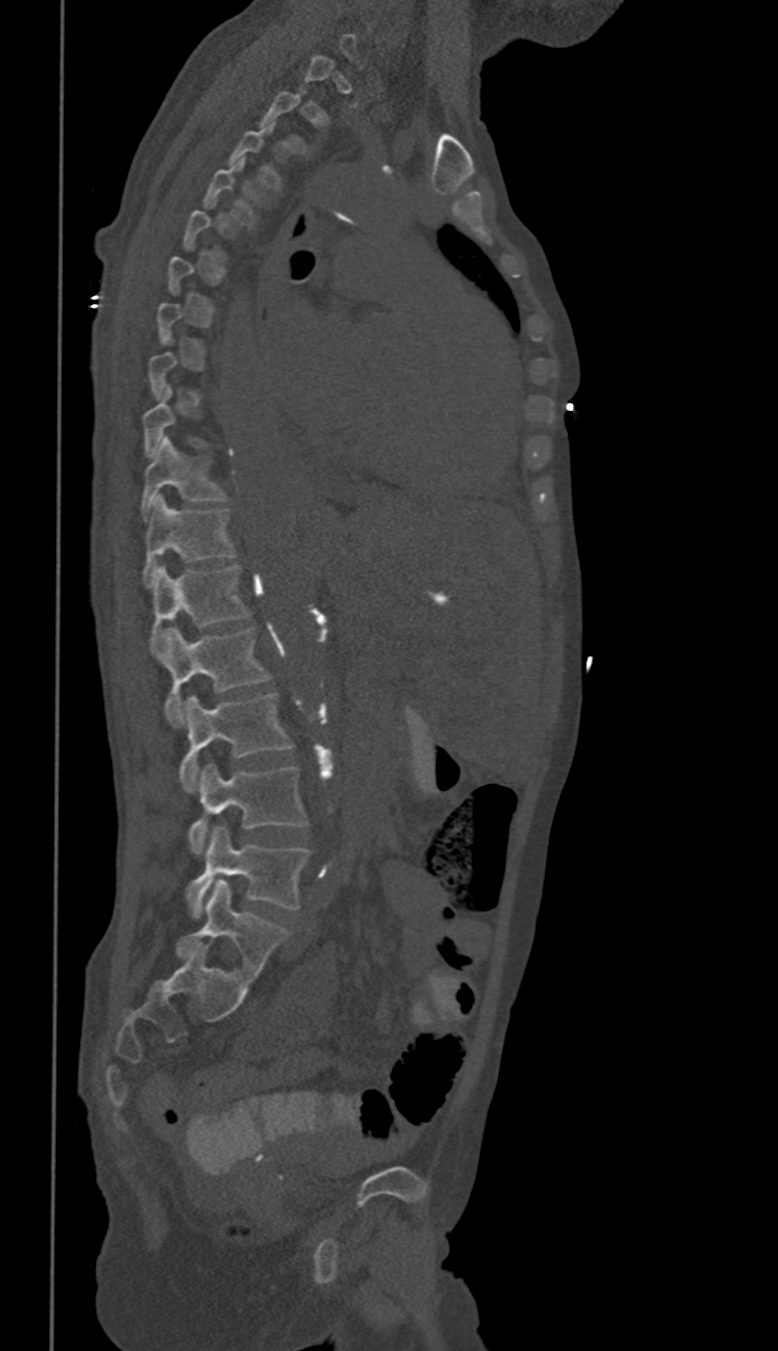
CT spine — sagittal view
In the table, x1 and y1 are a box's top-left corner and x2 and y2 its bottom-right corner, in pixels.
A vertebra is boxed only from the first to the last slice where its cross-section is at least a third of its largest; slices outside that range leave it without a box.
These labels give this spine no T12: after T11 the next vertebra is L1.
| vertebra | x1 | y1 | x2 | y2 |
|---|---|---|---|---|
| T10 | 141 | 436 | 225 | 519 |
| T11 | 144 | 496 | 234 | 584 |
| L1 | 150 | 565 | 248 | 653 |
| L2 | 164 | 627 | 269 | 726 |
| L3 | 179 | 694 | 292 | 791 |
| L4 | 188 | 763 | 306 | 853 |
| L5 | 187 | 827 | 310 | 917 |